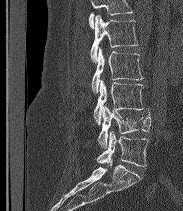 Spine computed tomography · sagittal view · bone-window reconstruction · 183x211 px
Where the top of the scan cuts through a vertebra, that vertebra gets no label or box.
The labels name a sixth lumbar vertebra for this spine: L6, after L5.
<vertebrae><v name="L2" x1="90" y1="15" x2="138" y2="63"/><v name="L3" x1="91" y1="48" x2="143" y2="93"/><v name="L4" x1="94" y1="80" x2="143" y2="124"/><v name="L5" x1="98" y1="106" x2="151" y2="148"/><v name="L6" x1="96" y1="131" x2="148" y2="166"/></vertebrae>